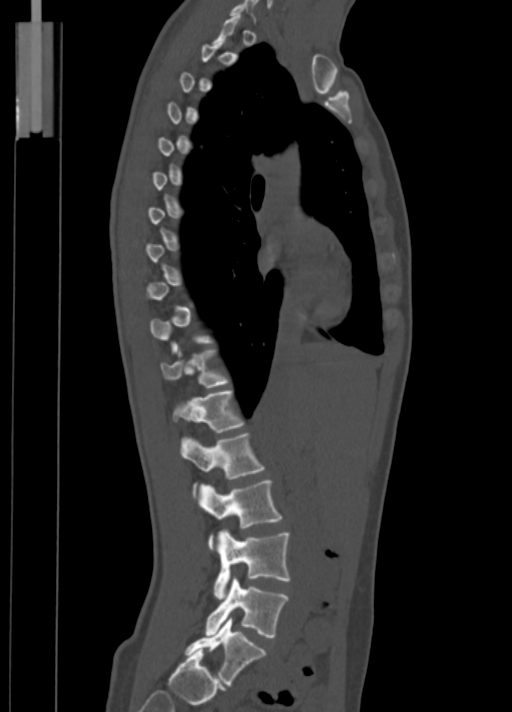

Spine CT; sagittal view; bone window; 512x712 px; the image spans 350 mm across. In the table, x1 and y1 are a box's top-left corner and x2 and y2 its bottom-right corner, in pixels.
Each vertebra is boxed only on the slices from the first to the last where its cross-section reaches a third of its largest, so a slice outside that range leaves it unboxed.
| vertebra | x1 | y1 | x2 | y2 |
|---|---|---|---|---|
| T11 | 161 | 350 | 227 | 387 |
| T12 | 172 | 391 | 243 | 432 |
| L1 | 180 | 433 | 264 | 479 |
| L2 | 196 | 480 | 281 | 549 |
| L3 | 213 | 528 | 290 | 599 |
| L4 | 205 | 576 | 287 | 637 |
| L5 | 184 | 617 | 265 | 685 |